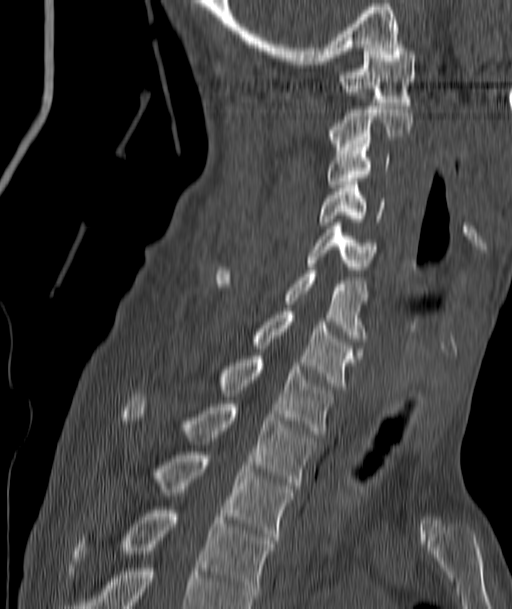 Spine computed tomography; sagittal view
Boxes are given in columns x1, y1, x2, y2, the pixel coordinates of their top-left and bottom-right corners.
| vertebra | x1 | y1 | x2 | y2 |
|---|---|---|---|---|
| C1 | 340 | 48 | 415 | 105 |
| C2 | 329 | 106 | 411 | 150 |
| C3 | 327 | 144 | 389 | 187 |
| C4 | 318 | 181 | 383 | 225 |
| C5 | 308 | 222 | 378 | 269 |
| C6 | 217 | 270 | 367 | 341 |
| C7 | 253 | 311 | 356 | 389 |
| T1 | 220 | 356 | 334 | 434 |
| T2 | 124 | 397 | 315 | 488 |
| T3 | 154 | 452 | 293 | 540 |
| T4 | 75 | 510 | 271 | 601 |